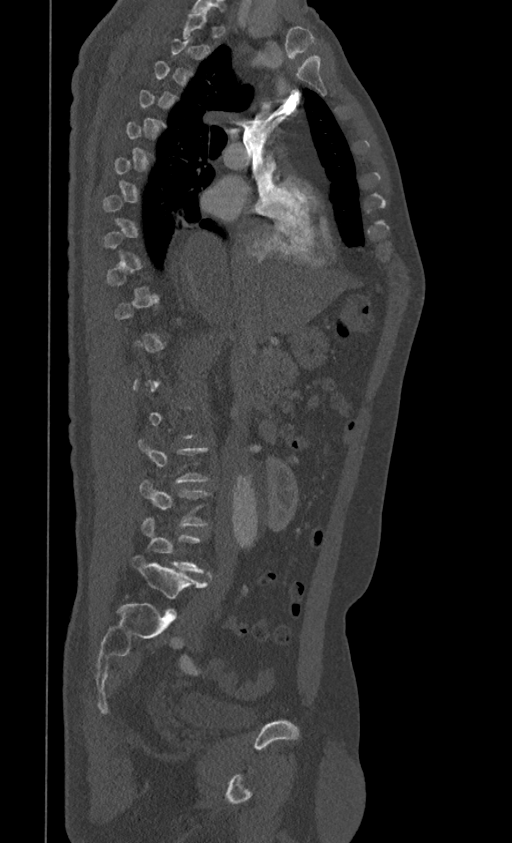

Computed tomography of the spine — sagittal view — bone-window reconstruction — 512x843 px
A vertebra gets a box only on the slices from the first to the last where its cross-section is at least a third of its largest; on a slice outside that range it gets none.
<vertebrae><v name="L3" x1="140" y1="478" x2="211" y2="527"/><v name="L4" x1="141" y1="517" x2="211" y2="575"/><v name="L5" x1="131" y1="554" x2="207" y2="598"/></vertebrae>